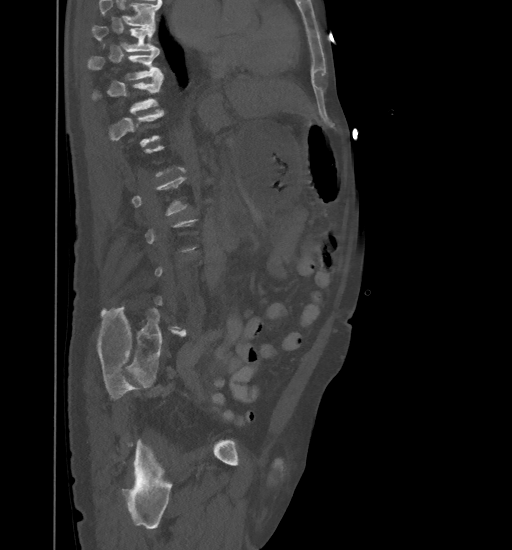 Spine computed tomography — sagittal view — bone-window reconstruction — 461 mm image width — 512x550 px

Each box is [x1, y1, x2, y2] in pixels: top-left corner, then bottom-right corner.
Not every vertebra on this slice has a box: a vertebra is boxed only from the first to the last slice where its cross-section is at least a third of its largest, and this slice is outside that range for at least one of them.
No box is given to a vertebra that the top edge of the scan cuts off.
{"vertebrae":{"T11":[92,72,162,112],"T10":[88,49,161,79],"T9":[92,26,158,51]}}